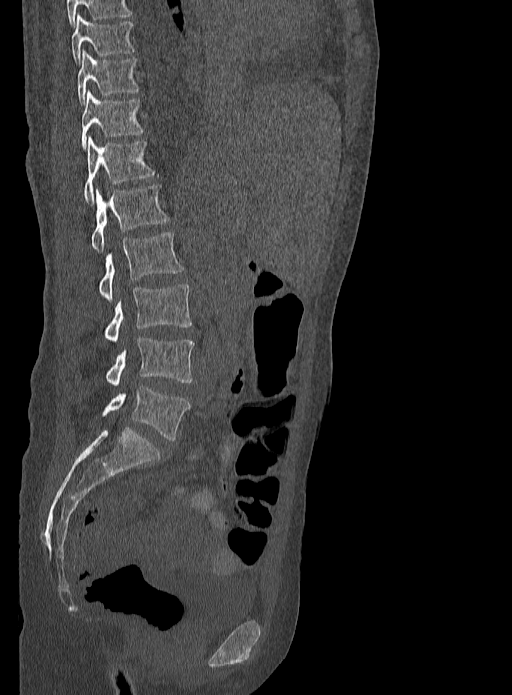

CT spine. sagittal reformat
Boxes are (x1, y1, x2, y2) in pixels.
T9: (72, 14, 134, 64)
T10: (77, 51, 139, 105)
T11: (81, 91, 142, 148)
T12: (84, 137, 154, 203)
L1: (90, 185, 169, 253)
L2: (100, 232, 183, 302)
L3: (104, 284, 191, 342)
L4: (106, 337, 194, 386)
L5: (101, 386, 189, 440)